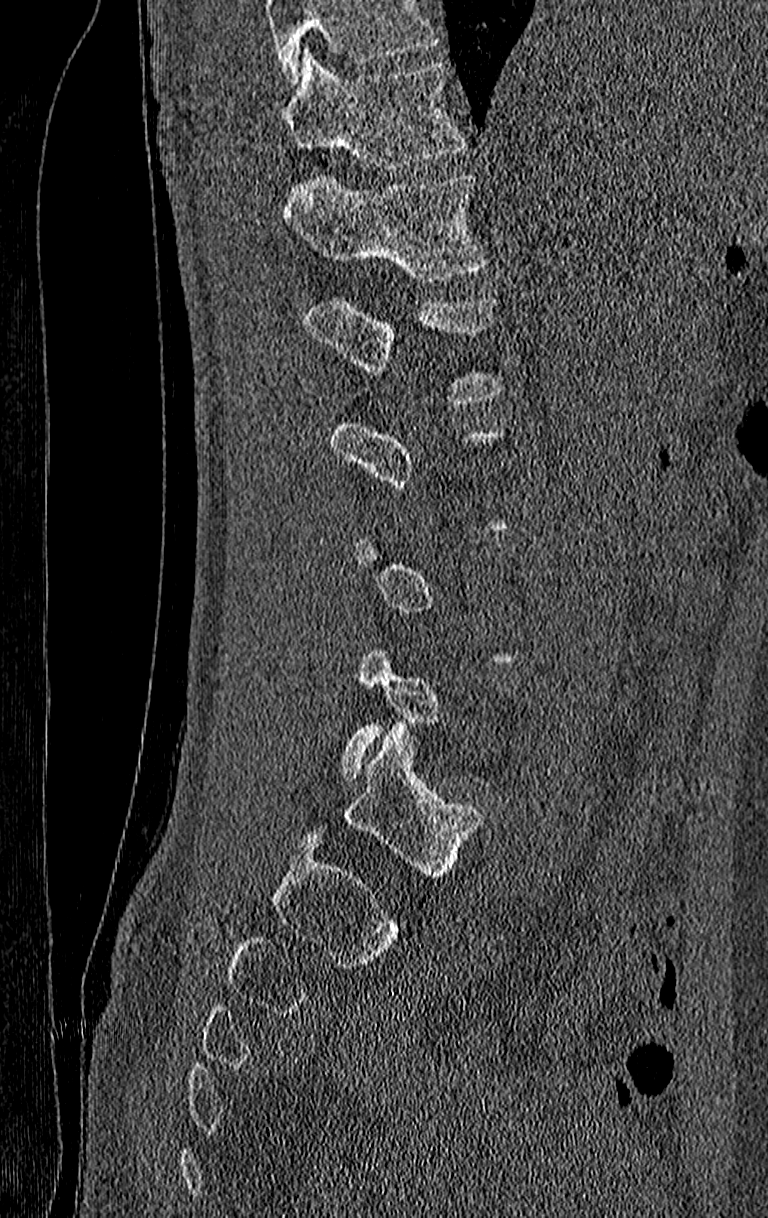 CT spine. sagittal view. Bone window (WL 400, WW 1800). 210 mm across the image. Boxes: x1 y1 x2 y2 (pixel coords, space-separated).
A vertebra gets a box only on the slices from the first to the last where its cross-section is at least a third of its largest; on a slice outside that range it gets none.
Where the top of the scan cuts through a vertebra, that vertebra gets no label or box.
L1: 302 298 502 402
T12: 284 173 488 282
T11: 280 48 466 169